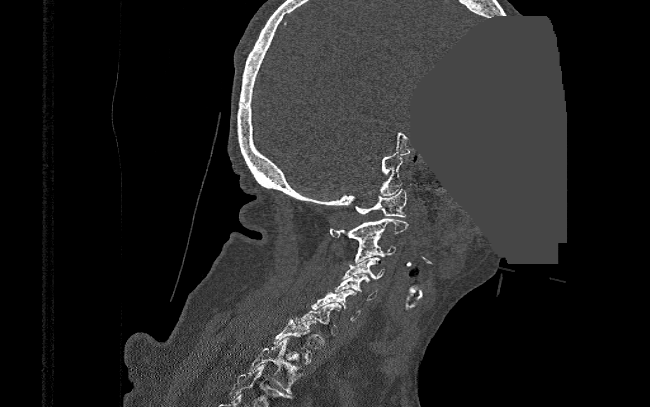

CT. sagittal reformat. a region is masked with a constant gray value
<vertebrae><v name="C1" x1="354" y1="189" x2="407" y2="217"/><v name="C2" x1="330" y1="218" x2="408" y2="244"/><v name="C3" x1="354" y1="239" x2="395" y2="263"/><v name="C4" x1="343" y1="257" x2="384" y2="279"/><v name="C5" x1="334" y1="274" x2="376" y2="300"/><v name="C6" x1="311" y1="290" x2="361" y2="320"/><v name="C7" x1="295" y1="303" x2="342" y2="331"/><v name="T1" x1="272" y1="319" x2="316" y2="364"/><v name="T2" x1="248" y1="337" x2="300" y2="393"/></vertebrae>